Spine computed tomography; sagittal reformat; 154 mm wide; W/L 1800/400 HU
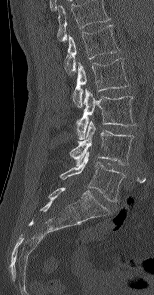

Boxes: x1:y1:x2:y2 in pixels.
The highest labeled vertebra in this scan is L1; the lowest is L5.
Vertebra bounding boxes:
- L1: 65:24:119:72
- L2: 73:58:128:107
- L3: 76:88:136:139
- L4: 70:121:132:166
- L5: 60:152:126:201